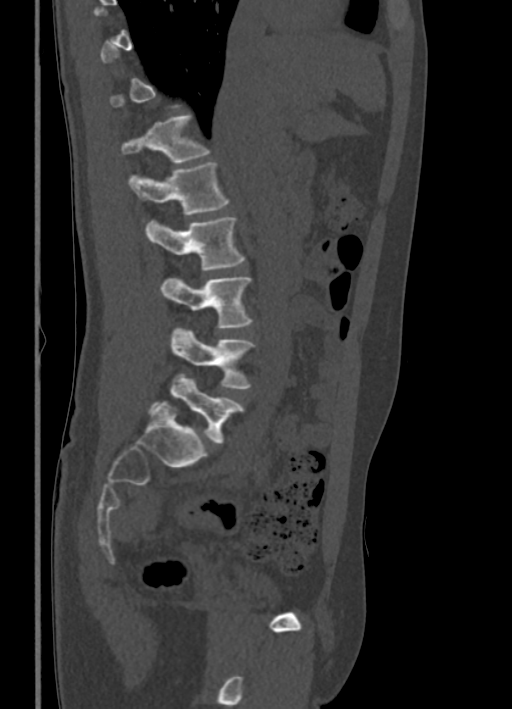
CT, spine. sagittal view
Box edges are left/top/right/bottom in pixels. A vertebra gets a box only on the slices from the first to the last where its cross-section is at least a third of its largest; on a slice outside that range it gets none. 6 vertebrae labeled — T12 at left=122, top=115, right=209, bottom=162; L1 at left=129, top=163, right=229, bottom=214; L2 at left=145, top=218, right=244, bottom=270; L3 at left=160, top=277, right=252, bottom=328; L4 at left=170, top=328, right=253, bottom=389; L5 at left=151, top=374, right=243, bottom=443.